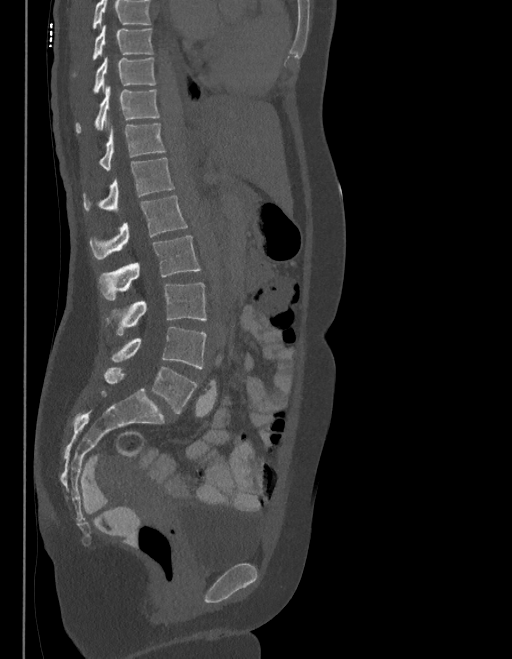
CT spine · sagittal view
Boxes are (x1, y1, x2, y2) in pixels. Where the top of the scan cuts through a vertebra, that vertebra gets no label or box. In these labels the spine has an L6, a sixth lumbar vertebra below L5. Vertebrae labeled: L6 at (104, 367, 197, 414), L5 at (110, 327, 206, 368), L4 at (105, 282, 206, 335), L3 at (99, 236, 200, 300), L2 at (90, 196, 187, 259), L1 at (84, 158, 173, 213), T12 at (100, 120, 164, 169), T11 at (76, 85, 159, 133), T10 at (94, 56, 155, 93), T9 at (93, 24, 153, 60).